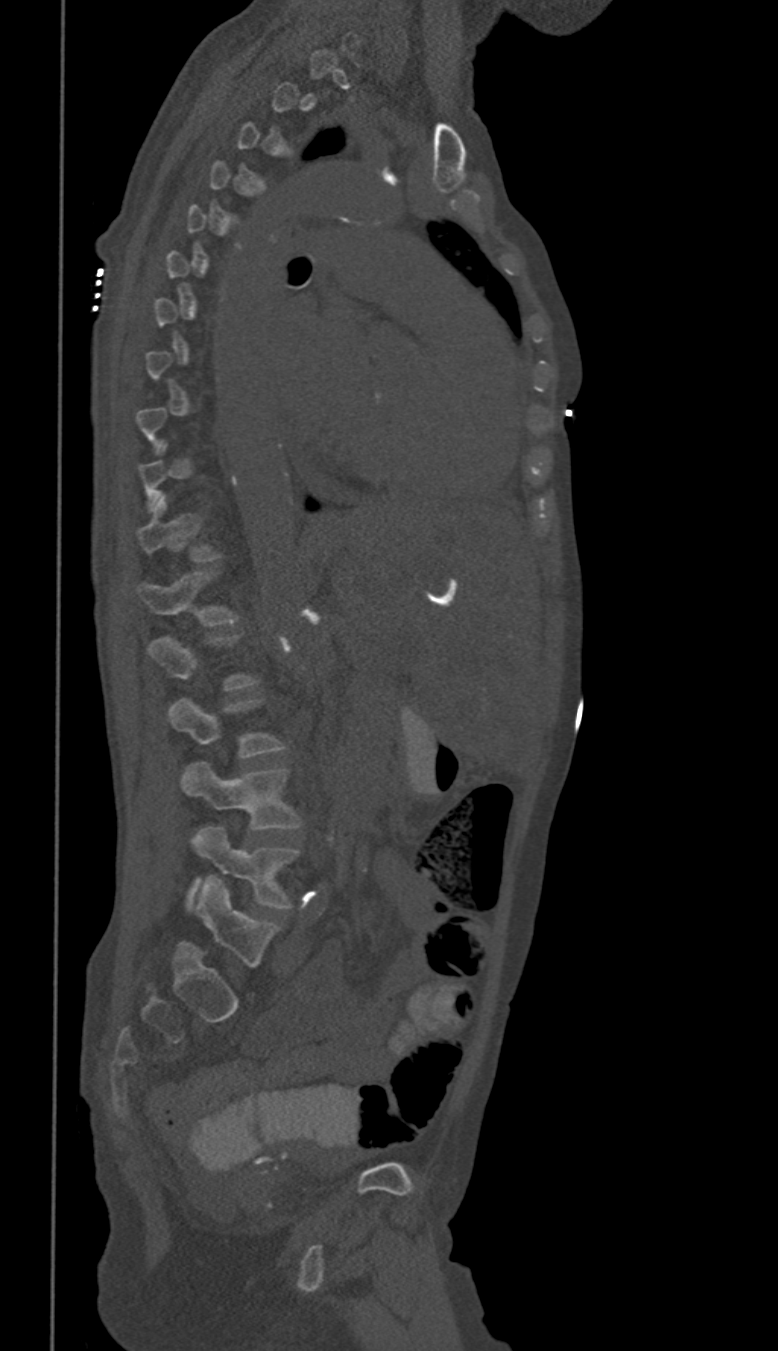

CT, spine — sagittal reformat — image width 350 mm — Bone window (WL 400, WW 1800) — 778x1351 px
Each vertebra maps to its box as [x1, y1, x2, y2], the pixel coordinates of its top-left and bottom-right corners.
Each vertebra is boxed only on the slices from the first to the last where its cross-section reaches a third of its largest, so a slice outside that range leaves it unboxed.
In these labels the spine has no T12: the thoracic vertebrae end at T11, and L1 comes next.
{"vertebrae":{"T11":[140,494,221,562],"L1":[140,572,236,626],"L2":[149,634,256,691],"L3":[169,698,283,757],"L4":[182,763,301,828],"L5":[188,827,301,908]}}